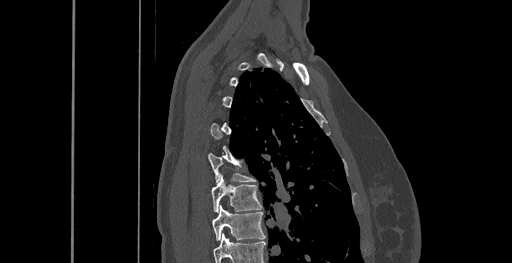
Spine computed tomography. sagittal view. bone window
Coordinates as <box>x1,y1,x2,y2</box>. A vertebra gets a box only on the slices from the first to the last where its cross-section is at least a third of its largest; on a slice outside that range it gets none. In this scan, the topmost labeled vertebra is C6 and the lowest is T8. Vertebrae labeled: T6 at <box>207,153,255,182</box>, T7 at <box>211,176,262,212</box>, T8 at <box>212,205,265,240</box>.